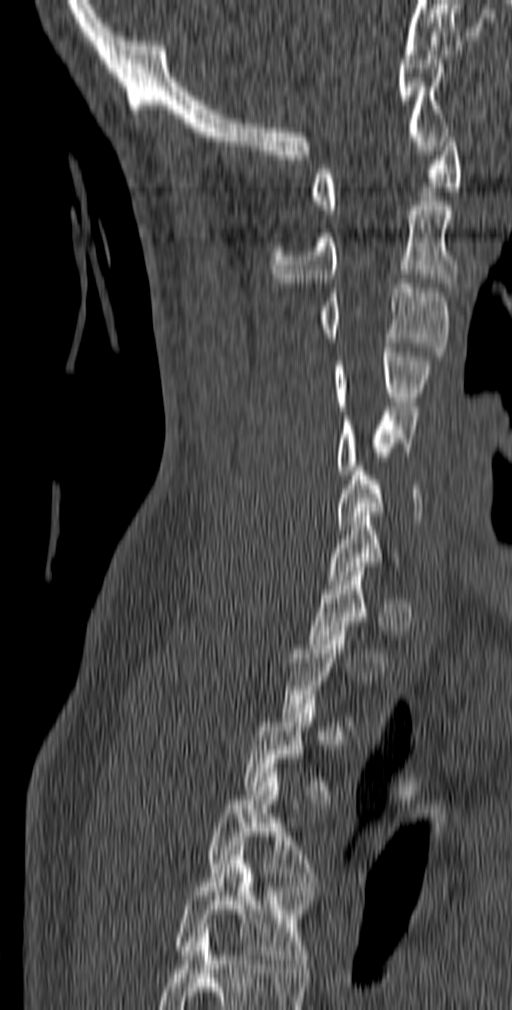

Computed tomography of the spine; image width 140 mm; sagittal view. Boxes are given in columns x1, y1, x2, y2, the pixel coordinates of their top-left and bottom-right corners.
A vertebra gets a box only on the slices from the first to the last where its cross-section is at least a third of its largest; on a slice outside that range it gets none.
This scan's labels start at C1 at the top and end at T5 at the bottom.
| vertebra | x1 | y1 | x2 | y2 |
|---|---|---|---|---|
| C1 | 311 | 128 | 461 | 214 |
| C2 | 270 | 201 | 458 | 287 |
| C3 | 320 | 279 | 449 | 356 |
| C4 | 334 | 347 | 432 | 410 |
| C5 | 337 | 407 | 418 | 474 |
| C6 | 337 | 466 | 421 | 529 |
| T4 | 206 | 773 | 319 | 890 |
| T5 | 176 | 850 | 312 | 968 |